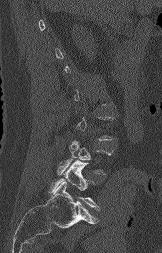 CT; sagittal view; 162x253 px

Boxes below are [x1, y1, x2, y2] in pixels.
Each vertebra is boxed only on the slices from the first to the last where its cross-section reaches a third of its largest, so a slice outside that range leaves it unboxed.
{"vertebrae":{"L4":[57,140,111,174],"L5":[50,160,99,210]}}